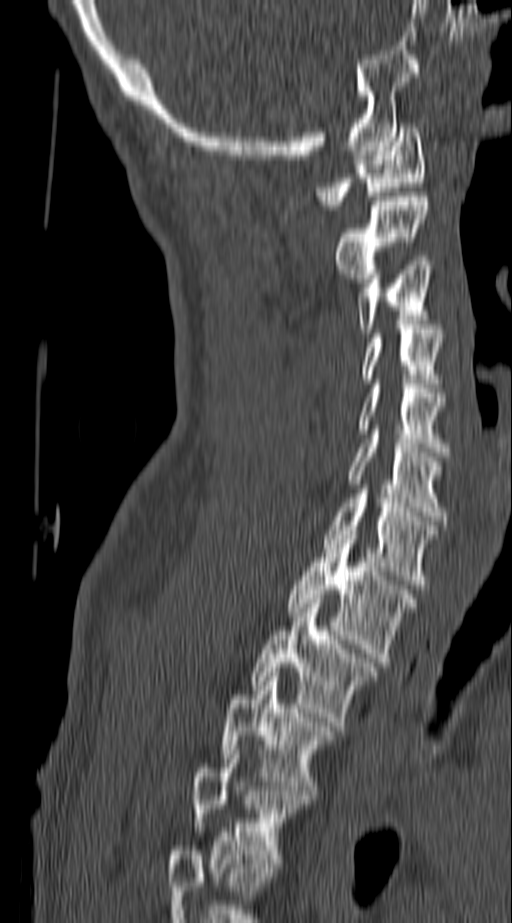 Spine CT. sagittal reformat. bone window. the image spans 140 mm across. 512x923 px. Boxes are given in columns x1, y1, x2, y2, the pixel coordinates of their top-left and bottom-right corners.
Labels in this scan begin with C1 at the top and end with T4 at the bottom.
| vertebra | x1 | y1 | x2 | y2 |
|---|---|---|---|---|
| T4 | 192 | 745 | 308 | 868 |
| T3 | 221 | 672 | 337 | 794 |
| T2 | 250 | 599 | 377 | 726 |
| T1 | 285 | 530 | 417 | 662 |
| C7 | 323 | 489 | 436 | 584 |
| C6 | 348 | 434 | 447 | 520 |
| C5 | 360 | 384 | 447 | 456 |
| C4 | 363 | 329 | 443 | 383 |
| C3 | 356 | 261 | 433 | 333 |
| C2 | 334 | 192 | 428 | 282 |
| C1 | 316 | 123 | 425 | 209 |